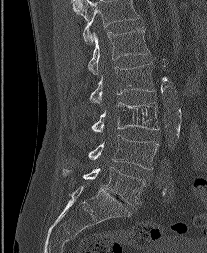
Computed tomography of the spine. sagittal view. bone-window reconstruction
Each box is [x1, y1, x2, y2] in pixels: top-left corner, then bottom-right corner.
The highest labeled vertebra in this scan is L1; the lowest is L5.
{"vertebrae":{"L5":[62,167,145,205],"L4":[88,135,158,169],"L3":[91,102,158,132],"L2":[90,62,154,103],"L1":[88,27,149,74]}}